CT — sagittal view — image 153 mm wide — Bone window (WL 400, WW 1800) — 512x757 px
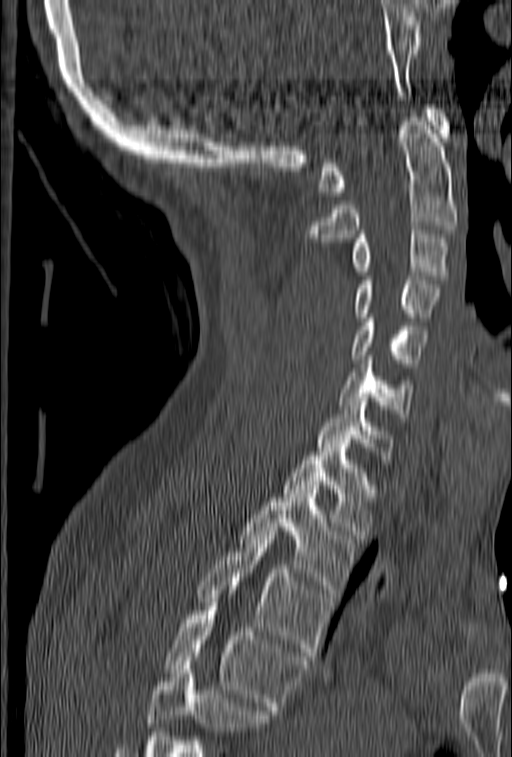

Boxes: x1 y1 x2 y2 (pixel coords, space-separated). No box is given to a vertebra that the bottom edge of the scan cuts off. The labeled vertebrae in this slice are: T4 at 161 607 307 714, T3 at 196 531 331 660, T2 at 239 489 357 597, T1 at 281 448 377 539, C7 at 316 393 395 463, C6 at 339 356 414 417, C5 at 349 314 429 367, C4 at 353 276 439 321, C3 at 349 230 451 279, C2 at 305 109 457 242, C1 at 319 105 452 196.